CT spine; sagittal reformat; part of the scan has been removed (filled with constant black)
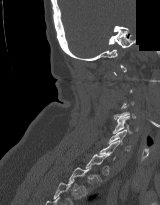 Each box given as x1,y1,x2,y2. A vertebra is boxed only from the first to the last slice where its cross-section is at least a third of its largest; slices outside that range leave it without a box. Vertebrae labeled: C5 at x1=113, y1=116, x2=138, y2=133, C6 at x1=108, y1=129, x2=130, y2=150, T2 at x1=68, y1=167, x2=90, y2=196.